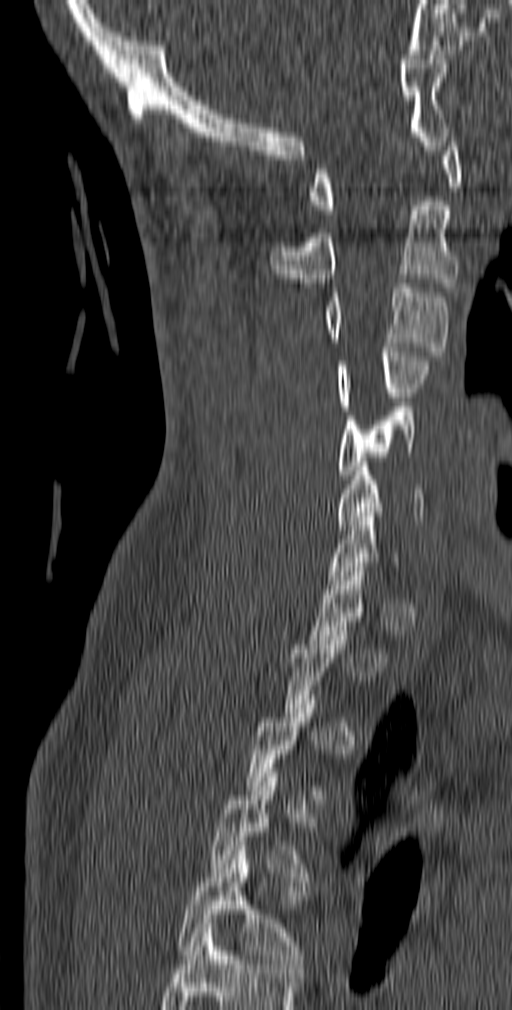 CT · sagittal view · 512x1010 px
Boxes are (x1, y1, x2, y2) in pixels.
A vertebra is boxed only from the first to the last slice where its cross-section is at least a third of its largest; slices outside that range leave it without a box.
In this scan, the topmost labeled vertebra is C1 and the lowest is T5.
T5: (177, 850, 306, 968)
T4: (210, 773, 315, 881)
C6: (338, 462, 423, 529)
C5: (338, 407, 417, 479)
C4: (338, 347, 432, 410)
C3: (323, 283, 448, 356)
C2: (270, 201, 458, 287)
C1: (309, 133, 461, 214)